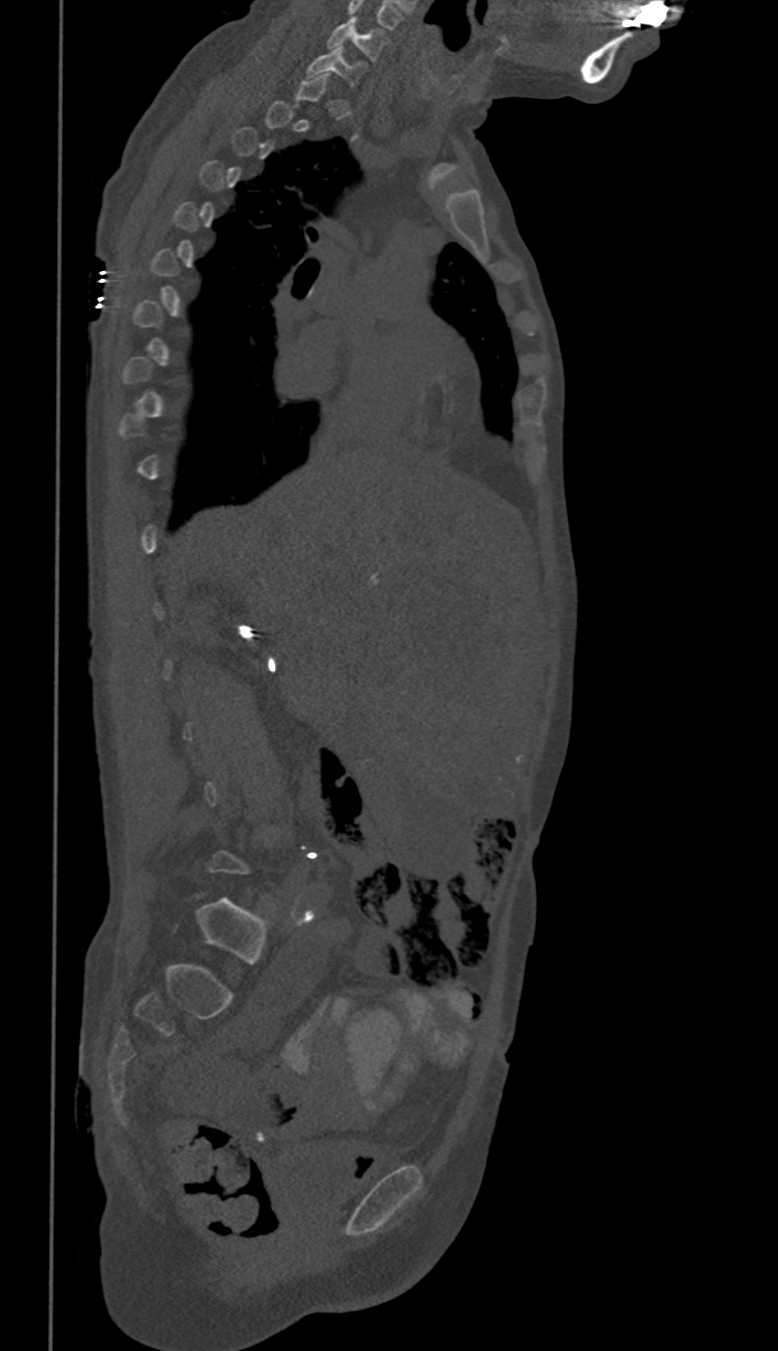

Spine CT; sagittal view; 778x1351 px; 350 mm wide

A vertebra gets a box only on the slices from the first to the last where its cross-section is at least a third of its largest; on a slice outside that range it gets none.
<vertebrae><v name="C7" x1="307" y1="46" x2="364" y2="86"/><v name="C6" x1="328" y1="16" x2="388" y2="62"/></vertebrae>